Spine computed tomography. sagittal view. the image spans 150 mm across. Bone window (WL 400, WW 1800). scan covers 11 annotated vertebrae
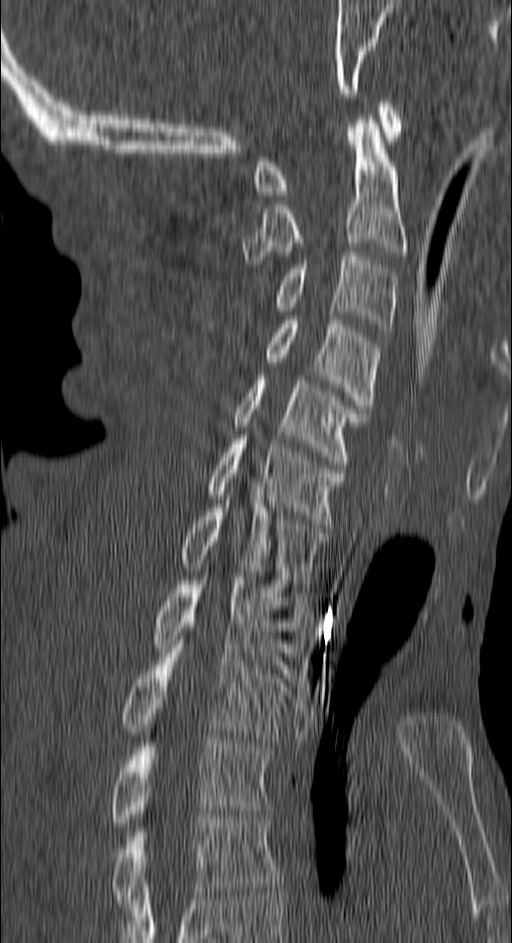
Coordinates as <box>x1,y1,x2,y2</box>.
C1: <box>254,98,400,195</box>
C2: <box>242,115,406,264</box>
C3: <box>278,252,396,332</box>
C4: <box>267,316,379,413</box>
C5: <box>233,375,365,464</box>
C6: <box>209,435,345,524</box>
C7: <box>182,499,324,588</box>
T1: <box>155,576,303,669</box>
T2: <box>121,644,288,741</box>
T3: <box>110,738,270,827</box>
T4: <box>110,815,280,908</box>